CT spine · sagittal plane, index 241 · image 157 mm wide · Bone window (WL 400, WW 1800)
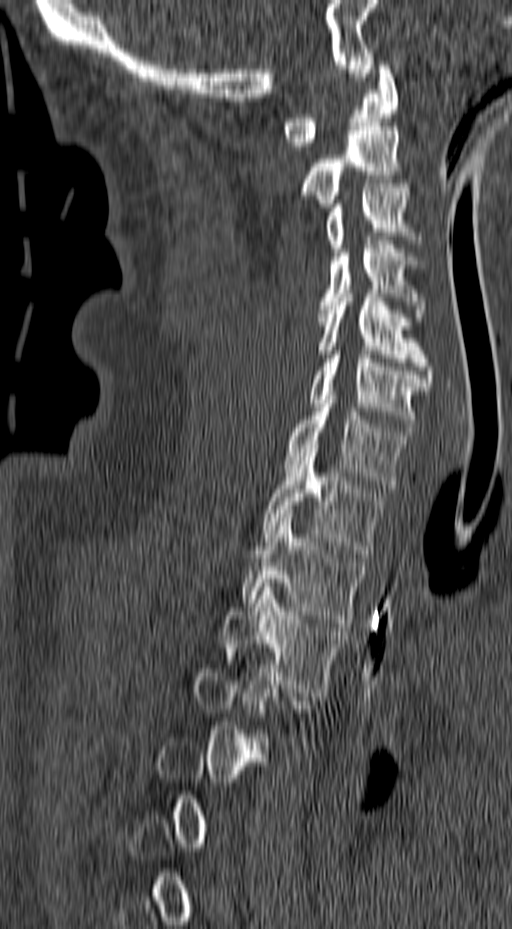
Boxes are (x1, y1, x2, y2) in pixels. Each vertebra is boxed only on the slices from the first to the last where its cross-section reaches a third of its largest, so a slice outside that range leaves it unboxed. The labeled vertebrae in this slice are: T3 at (220, 583, 346, 696), T2 at (242, 514, 362, 627), T1 at (262, 448, 382, 557), C7 at (283, 391, 411, 488), C6 at (309, 346, 428, 431), C5 at (317, 289, 433, 386), C4 at (317, 241, 425, 317), C3 at (325, 183, 421, 252), C2 at (301, 122, 407, 207), C1 at (281, 65, 398, 150).